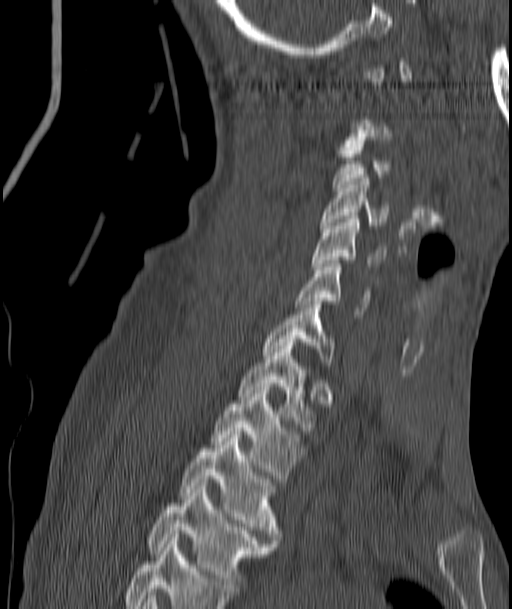

CT, spine — the image spans 187 mm across — sagittal view

Box edges are left/top/right/bottom in pixels.
Not every vertebra on this slice has a box: a vertebra is boxed only from the first to the last slice where its cross-section is at least a third of its largest, and this slice is outside that range for at least one of them.
| vertebra | x1 | y1 | x2 | y2 |
|---|---|---|---|---|
| C3 | 332 | 147 | 389 | 191 |
| C4 | 321 | 178 | 389 | 228 |
| C5 | 313 | 216 | 386 | 269 |
| C6 | 294 | 264 | 370 | 314 |
| C7 | 264 | 301 | 334 | 369 |
| T1 | 236 | 339 | 315 | 430 |
| T2 | 212 | 387 | 304 | 482 |
| T3 | 179 | 431 | 279 | 543 |
| T4 | 146 | 486 | 274 | 591 |